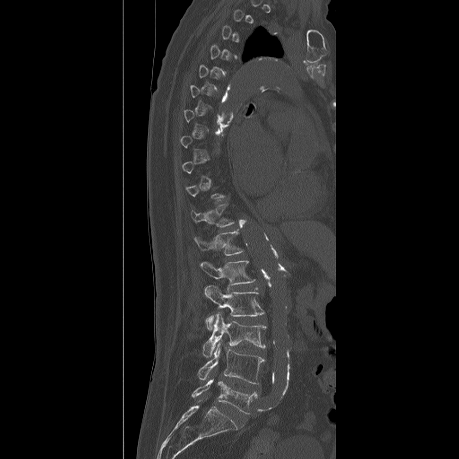
CT. sagittal view. W/L 1800/400 HU
Bounding boxes as [x1, y1, x2, y2] in pixel coordinates.
Not every vertebra on this slice has a box: a vertebra is boxed only from the first to the last slice where its cross-section is at least a third of its largest, and this slice is outside that range for at least one of them.
T11: [191, 204, 235, 227]
T12: [194, 231, 242, 255]
L1: [199, 260, 255, 285]
L2: [204, 285, 264, 330]
L3: [202, 312, 265, 358]
L4: [198, 343, 264, 384]
L5: [191, 377, 256, 414]